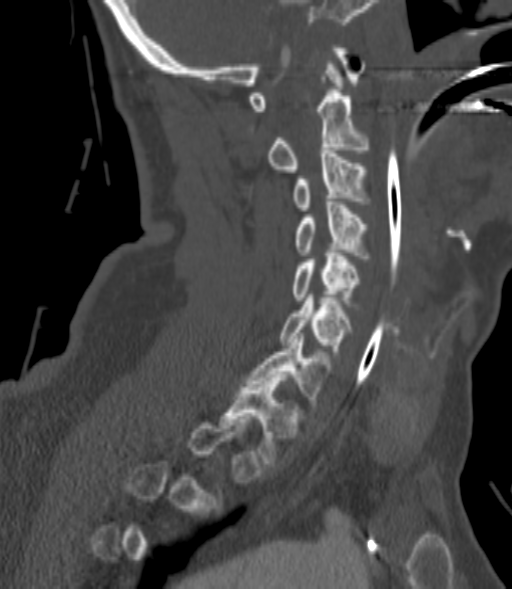

Spine computed tomography. sagittal view. bone window. Box edges are left/top/right/bottom in pixels.
Not every vertebra on this slice has a box: a vertebra is boxed only from the first to the last slice where its cross-section is at least a third of its largest, and this slice is outside that range for at least one of them.
Vertebra bounding boxes:
- C2: left=267, top=61, right=368, bottom=172
- C3: left=293, top=150, right=368, bottom=210
- C4: left=295, top=202, right=368, bottom=261
- C5: left=293, top=250, right=361, bottom=306
- C6: left=280, top=298, right=351, bottom=357
- C7: left=247, top=333, right=330, bottom=405
- T1: left=221, top=378, right=299, bottom=466